Spine computed tomography; Sagittal slice 227/512; 512x548 px; scan covers 8 annotated vertebrae; the image spans 435 mm across
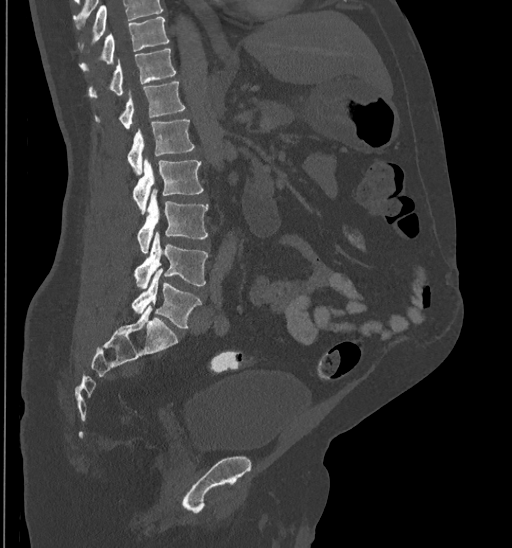

Box edges are left/top/right/bottom in pixels.
A vertebra cut off by the top edge of the scan is not labeled and has no box.
Vertebra bounding boxes:
- T10: left=79, top=17, right=170, bottom=72
- T11: left=88, top=49, right=175, bottom=99
- T12: left=94, top=82, right=185, bottom=128
- L1: left=127, top=120, right=194, bottom=175
- L2: left=133, top=159, right=204, bottom=213
- L3: left=136, top=190, right=208, bottom=252
- L4: left=134, top=231, right=207, bottom=289
- L5: left=132, top=270, right=201, bottom=327